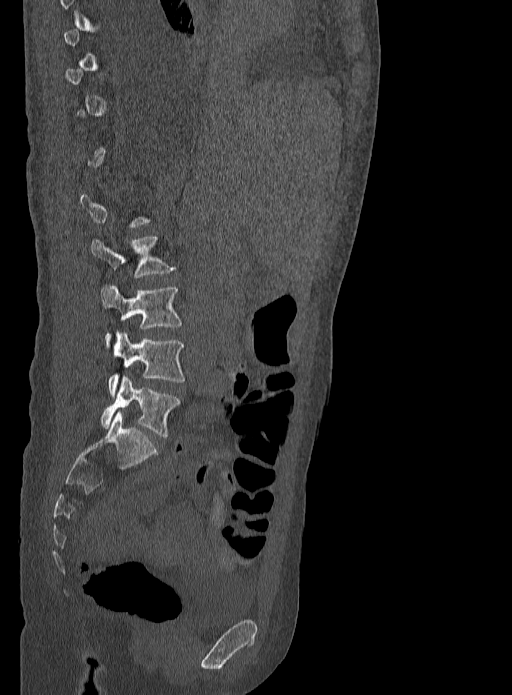

CT; sagittal view; W/L 1800/400 HU; 333 mm across the image. Boxes are given in columns x1, y1, x2, y2, the pixel coordinates of their top-left and bottom-right corners.
A vertebra gets a box only on the slices from the first to the last where its cross-section is at least a third of its largest; on a slice outside that range it gets none.
| vertebra | x1 | y1 | x2 | y2 |
|---|---|---|---|---|
| L2 | 90 | 237 | 176 | 277 |
| L3 | 100 | 286 | 182 | 340 |
| L4 | 107 | 331 | 185 | 396 |
| L5 | 101 | 375 | 179 | 437 |